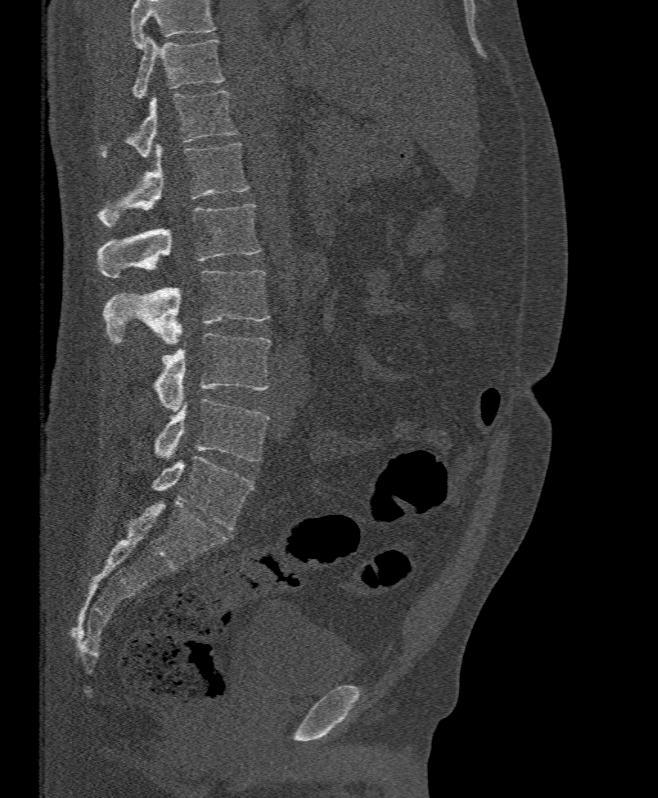 CT — 395 mm image width — sagittal view — 658x798 px

Where the top of the scan cuts through a vertebra, that vertebra gets no label or box.
<vertebrae><v name="T11" x1="131" y1="38" x2="225" y2="99"/><v name="T12" x1="98" y1="90" x2="237" y2="157"/><v name="L1" x1="98" y1="143" x2="248" y2="226"/><v name="L2" x1="98" y1="203" x2="260" y2="277"/><v name="L3" x1="103" y1="270" x2="269" y2="346"/><v name="L4" x1="153" y1="333" x2="270" y2="412"/><v name="L5" x1="154" y1="398" x2="269" y2="461"/></vertebrae>